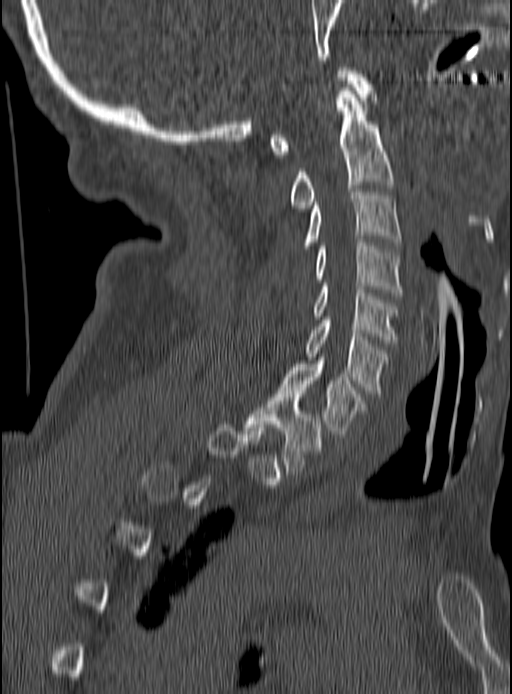 Computed tomography of the spine — sagittal view — 512x694 px. Coordinates as <box>x1,y1,x2,y2</box>. Not every vertebra on this slice has a box: a vertebra is boxed only from the first to the last slice where its cross-section is at least a third of its largest, and this slice is outside that range for at least one of them. The labeled vertebrae in this slice are: C1 at <box>270,67,374,154</box>, C2 at <box>289,91,393,208</box>, C3 at <box>305,189,401,245</box>, C4 at <box>316,239,401,295</box>, C5 at <box>313,283,397,343</box>, C6 at <box>305,317,385,393</box>, C7 at <box>280,357,364,434</box>, T1 at <box>246,391,321,471</box>.